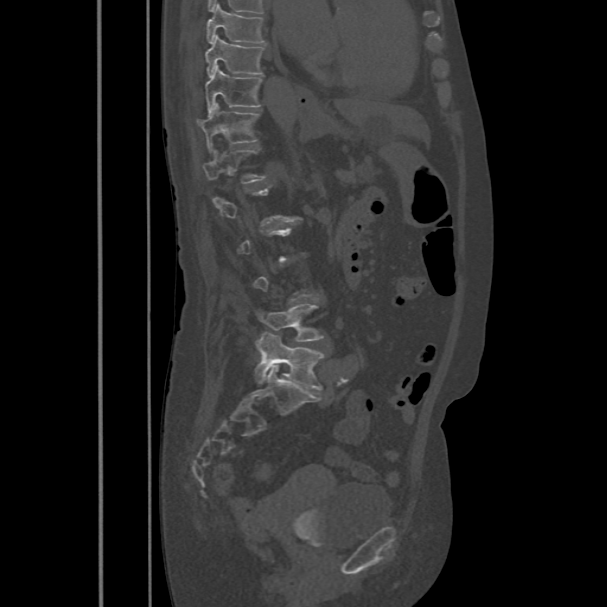

CT · sagittal view · W/L 1800/400 HU
Boxes: x1 y1 x2 y2 (pixel coords, space-separated). Not every vertebra on this slice has a box: a vertebra is boxed only from the first to the last slice where its cross-section is at least a third of its largest, and this slice is outside that range for at least one of them. Vertebrae labeled: T8 at 206 3 264 42, T9 at 205 35 264 76, T10 at 205 66 261 114, T11 at 197 103 259 151, T12 at 203 147 265 184, L4 at 256 303 324 341, L5 at 254 332 324 390.